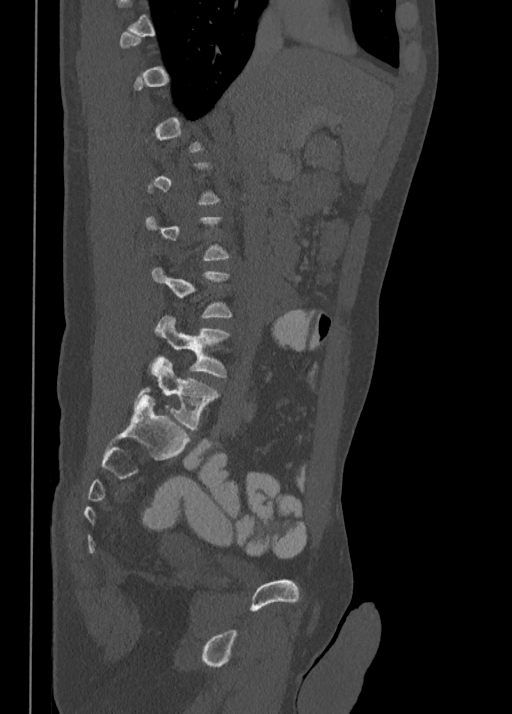
Spine CT — sagittal view — W/L 1800/400 HU — 512x714 px

Each box is [x1, y1, x2, y2] in pixels: top-left corner, then bottom-right corner.
Each vertebra is boxed only on the slices from the first to the last where its cross-section reaches a third of its largest, so a slice outside that range leaves it unboxed.
{"vertebrae":{"L5":[136,357,218,431],"L4":[155,316,230,378]}}